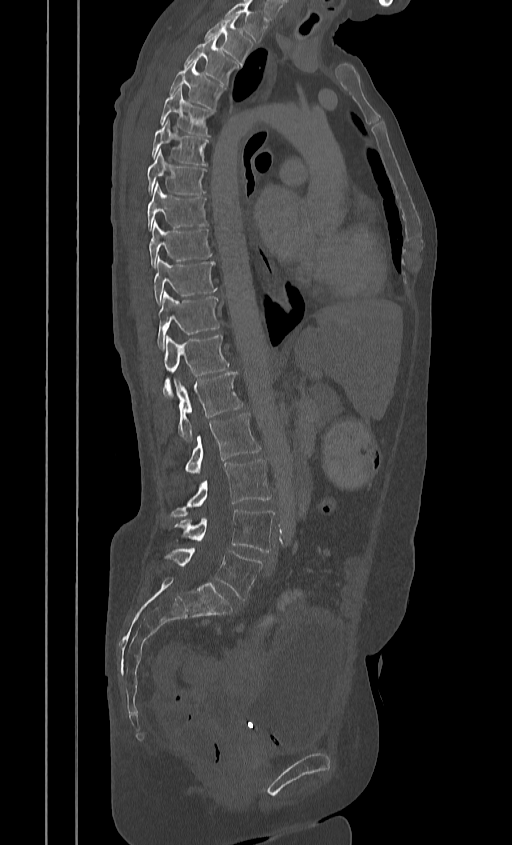 CT spine · sagittal view · 512x845 px
Box edges are left/top/right/bottom in pixels.
Labels in this scan begin with T2 at the top and end with L5 at the bottom.
| vertebra | x1 | y1 | x2 | y2 |
|---|---|---|---|---|
| T2 | 205 | 17 | 251 | 66 |
| T3 | 184 | 37 | 237 | 84 |
| T4 | 169 | 60 | 225 | 110 |
| T5 | 160 | 88 | 213 | 136 |
| T6 | 152 | 120 | 208 | 166 |
| T7 | 146 | 149 | 205 | 195 |
| T8 | 146 | 183 | 207 | 230 |
| T9 | 149 | 221 | 211 | 267 |
| T10 | 153 | 257 | 216 | 304 |
| T11 | 157 | 291 | 219 | 348 |
| T12 | 162 | 335 | 229 | 398 |
| L1 | 174 | 372 | 243 | 440 |
| L2 | 185 | 413 | 261 | 474 |
| L3 | 170 | 459 | 271 | 516 |
| L4 | 173 | 509 | 275 | 552 |
| L5 | 166 | 548 | 261 | 600 |